Spine CT — sagittal view — bone-window reconstruction — 9 vertebrae labeled in this scan
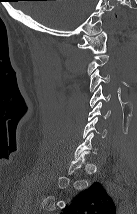 Box edges are left/top/right/bottom in pixels.
Each vertebra is boxed only on the slices from the first to the last where its cross-section reaches a third of its largest, so a slice outside that range leaves it unboxed.
| vertebra | x1 | y1 | x2 | y2 |
|---|---|---|---|---|
| C7 | 75 | 132 | 98 | 158 |
| C6 | 83 | 117 | 106 | 138 |
| C5 | 88 | 102 | 110 | 120 |
| C4 | 90 | 84 | 110 | 107 |
| C3 | 89 | 69 | 109 | 92 |
| C2 | 86 | 54 | 109 | 74 |
| C1 | 77 | 31 | 107 | 53 |